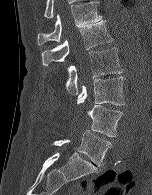 CT spine; the image spans 152 mm across; sagittal view
Boxes are (x1, y1, x2, y2) in pixels. The labeled vertebrae in this slice are: L5 at (53, 130, 111, 166), L4 at (72, 105, 123, 136), L3 at (77, 76, 125, 105), L2 at (65, 47, 122, 95), L1 at (42, 20, 112, 65), T12 at (37, 1, 102, 44).